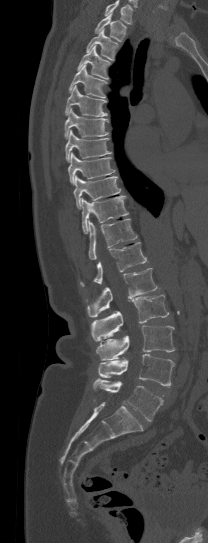

CT; sagittal view
Boxes below are [x1, y1, x2, y2] in pixels.
Vertebrae that run past the top of the scan are left unlabeled.
{"vertebrae":{"T1":[95,14,126,41],"T2":[86,28,118,60],"T3":[77,45,110,79],"T4":[69,65,105,97],"T5":[65,85,107,116],"T6":[64,108,109,139],"T7":[65,130,111,162],"T8":[68,152,114,185],"T9":[73,176,120,209],"T10":[82,196,128,233],"T11":[88,218,137,259],"T12":[80,242,146,286],"L1":[86,268,157,316],"L2":[91,294,168,341],"L3":[96,325,174,360],"L4":[98,354,176,387],"L5":[93,379,162,421]}}